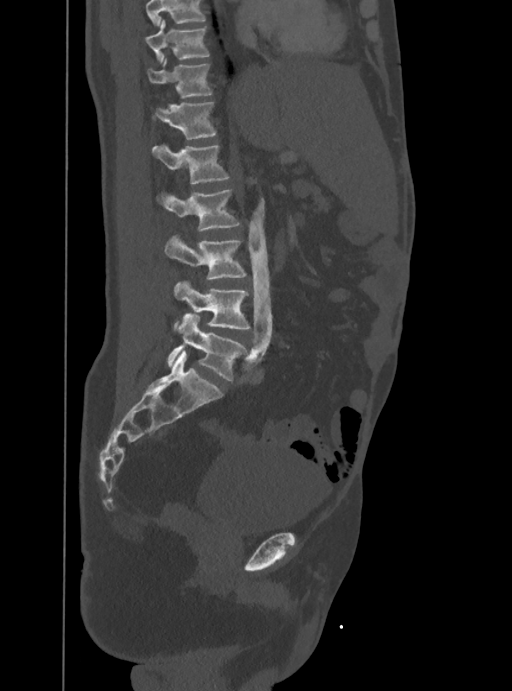
CT spine — sagittal view — 512x691 px
Each box is [x1, y1, x2, y2] in pixels: top-left corner, then bottom-right corner.
Where the top of the scan cuts through a vertebra, that vertebra gets no label or box.
{"vertebrae":{"T10":[145,18,209,61],"T11":[148,59,211,98],"T12":[156,101,215,139],"L1":[152,145,228,183],"L2":[163,190,239,231],"L3":[165,238,246,280],"L4":[173,281,250,329],"L5":[166,314,247,380]}}